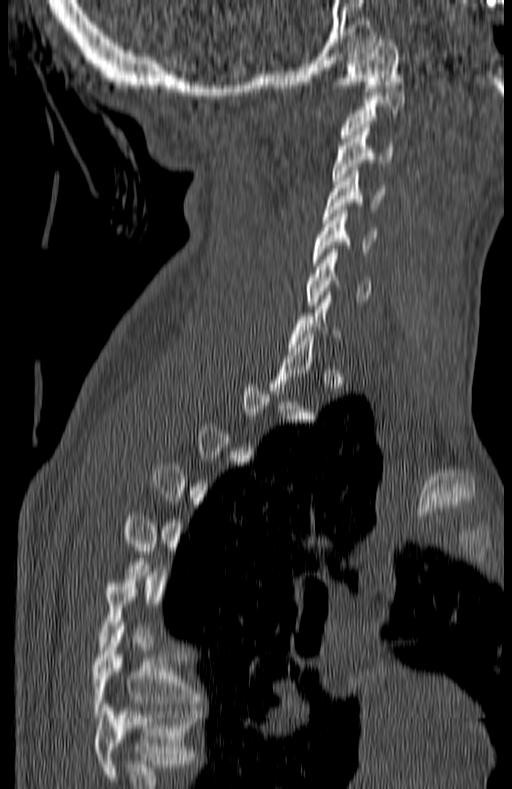
Computed tomography of the spine · 180 mm image width · sagittal view
Boxes below are [x1, y1, x2, y2] in pixels.
Each vertebra is boxed only on the slices from the first to the last where its cross-section reaches a third of its largest, so a slice outside that range leaves it unboxed.
In this scan, the topmost labeled vertebra is C1 and the lowest is T7.
{"vertebrae":{"C1":[337,39,401,91],"C2":[339,92,404,141],"C3":[332,128,393,184],"C4":[322,171,385,219],"C5":[314,210,376,266],"C6":[305,249,370,305],"T7":[92,626,200,717]}}